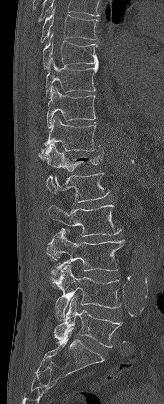

Computed tomography of the spine; sagittal reformat; 164x404 px

Box values are [left, top, right, bottom] in pixels.
{"vertebrae":{"T7":[40,8,98,42],"T8":[42,33,98,69],"T9":[45,58,98,97],"T10":[46,87,96,127],"T11":[42,116,99,152],"T12":[39,143,103,171],"L1":[46,172,109,202],"L2":[48,205,121,236],"L3":[46,230,124,279],"L4":[55,265,120,320],"L5":[54,297,122,347]}}